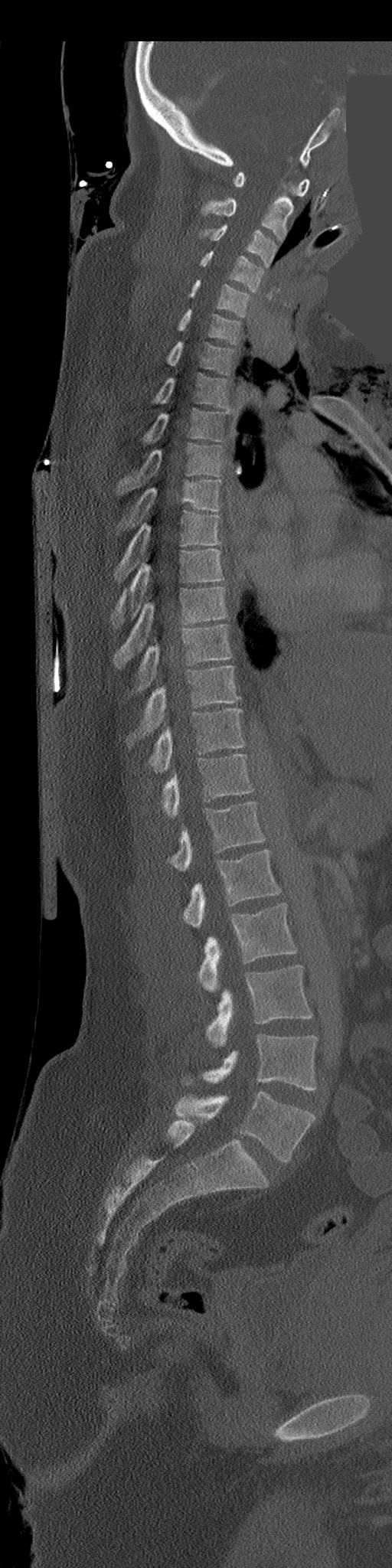

CT spine; image width 206 mm; sagittal view; a portion of the image is blanked out (constant pixel value)
Box edges are left/top/right/bottom in pixels. The labeled vertebrae in this slice are: C1 at left=233, top=171, right=310, bottom=197, C2 at left=202, top=194, right=293, bottom=241, C3 at left=201, top=224, right=276, bottom=266, C4 at left=201, top=251, right=263, bottom=292, C5 at left=189, top=280, right=249, bottom=315, C6 at left=178, top=309, right=240, bottom=345, C7 at left=166, top=341, right=234, bottom=374, T1 at left=155, top=374, right=232, bottom=411, T2 at left=143, top=408, right=227, bottom=443, T3 at left=116, top=444, right=221, bottom=492, T4 at left=116, top=480, right=220, bottom=531, T5 at left=115, top=511, right=220, bottom=580, T6 at left=111, top=549, right=223, bottom=626, T7 at left=115, top=586, right=227, bottom=668, T8 at left=136, top=625, right=232, bottom=691, T9 at left=128, top=665, right=240, bottom=746, T10 at left=147, top=708, right=245, bottom=773, T11 at left=162, top=754, right=253, bottom=816, T12 at left=168, top=802, right=264, bottom=871, L1 at left=183, top=849, right=279, bottom=929, L2 at left=198, top=903, right=296, bottom=991, L3 at left=206, top=965, right=312, bottom=1047, L4 at left=183, top=1034, right=318, bottom=1090, L5 at left=175, top=1091, right=315, bottom=1162.